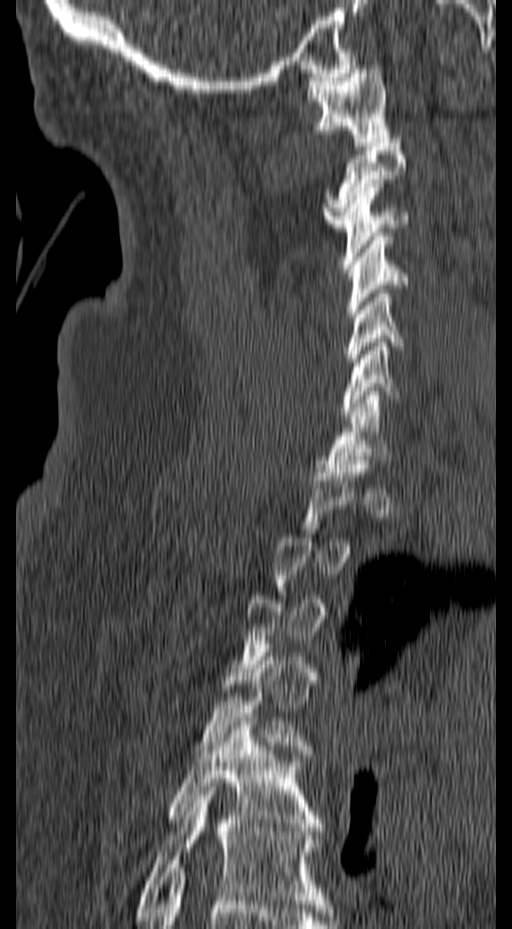

Spine computed tomography · sagittal view · W/L 1800/400 HU

Bounding boxes as [x1, y1, x2, y2] in pixel coordinates. A vertebra gets a box only on the slices from the first to the last where its cross-section is at least a third of its largest; on a slice outside that range it gets none. 10 vertebrae labeled — C1 at [307, 65, 392, 142]; C2 at [322, 143, 405, 227]; C3 at [339, 183, 409, 268]; C4 at [345, 232, 407, 317]; C5 at [345, 285, 403, 370]; C6 at [340, 338, 398, 419]; C7 at [323, 391, 391, 472]; T4 at [194, 648, 315, 757]; T5 at [167, 713, 323, 831]; T6 at [133, 787, 330, 920].